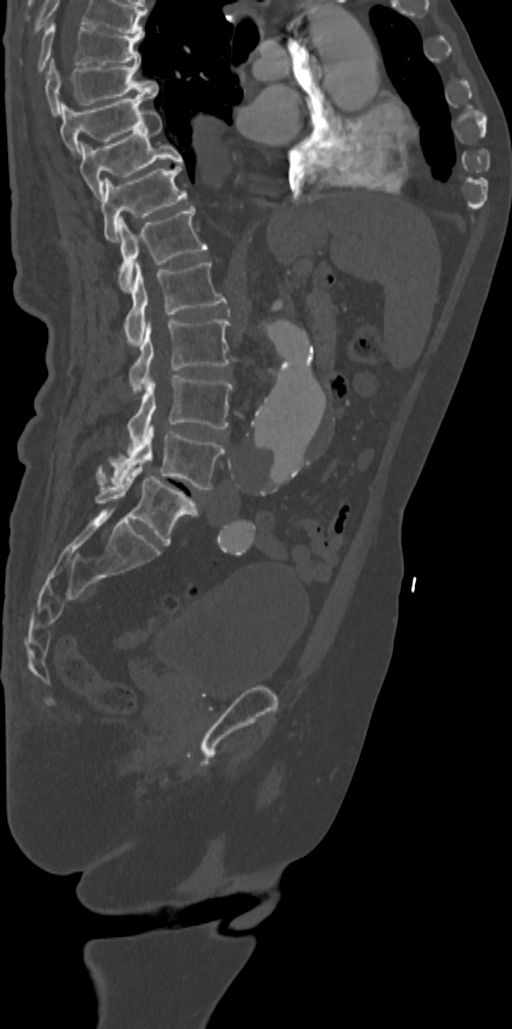 CT; sagittal view; 512x1029 px
In this scan, the topmost labeled vertebra is T7 and the lowest is L5.
<vertebrae><v name="L5" x1="96" y1="467" x2="198" y2="545"/><v name="L4" x1="97" y1="425" x2="225" y2="489"/><v name="L3" x1="127" y1="375" x2="232" y2="446"/><v name="L2" x1="129" y1="319" x2="229" y2="390"/><v name="L1" x1="124" y1="261" x2="226" y2="345"/><v name="T12" x1="117" y1="204" x2="207" y2="291"/><v name="T11" x1="102" y1="162" x2="186" y2="242"/><v name="T10" x1="79" y1="108" x2="183" y2="201"/><v name="T9" x1="60" y1="94" x2="152" y2="154"/><v name="T8" x1="45" y1="61" x2="158" y2="116"/><v name="T7" x1="37" y1="22" x2="141" y2="71"/></vertebrae>